CT spine; sagittal plane, index 286; Bone window (WL 400, WW 1800); the image is 333 mm wide; scan covers 7 annotated vertebrae
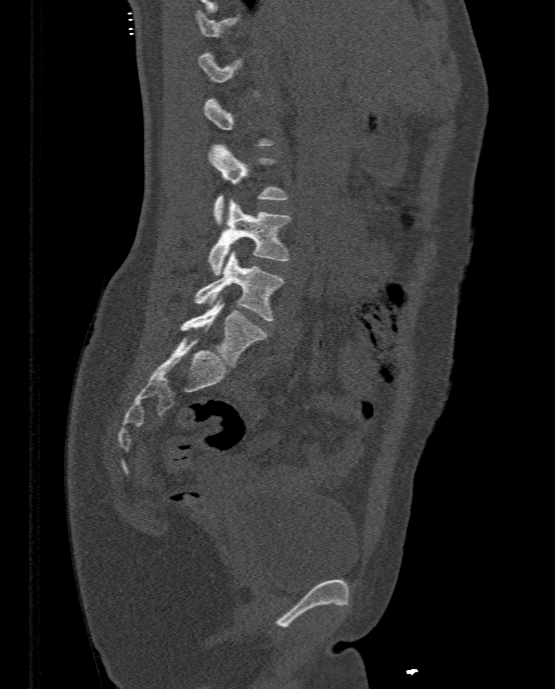
Coordinates as <box>x1,y1,x2,y2</box>.
A vertebra is boxed only from the first to the last slice where its cross-section is at least a third of its largest; slices outside that range leave it without a box.
L2: <box>208,144,287,224</box>
L3: <box>208,198,288,274</box>
L4: <box>193,250,284,320</box>
L5: <box>180,296,267,368</box>